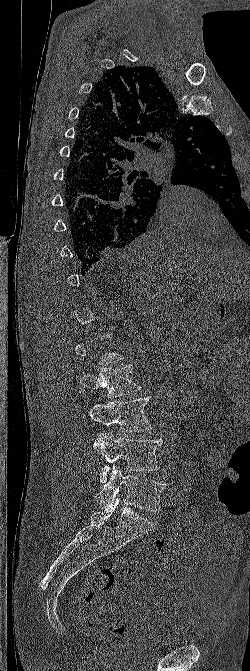
CT — sagittal view — 250 mm across the image — bone window
Each vertebra maps to its box as [x1, y1, x2, y2], the pixel coordinates of its top-left and bottom-right corners.
Each vertebra is boxed only on the slices from the first to the last where its cross-section reaches a third of its largest, so a slice outside that range leaves it unboxed.
{"vertebrae":{"L2":[79,365,141,397],"L3":[88,396,151,432],"L4":[93,432,163,482],"L5":[95,465,165,511]}}